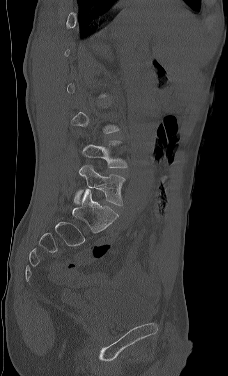
Spine CT. sagittal reformat. bone window
Each vertebra maps to its box as [x1, y1, x2, y2], the pixel coordinates of its top-left and bottom-right corners.
Not every vertebra on this slice has a box: a vertebra is boxed only from the first to the last slice where its cross-section is at least a third of its largest, and this slice is outside that range for at least one of them.
{"vertebrae":{"L5":[75,164,125,205],"L4":[82,140,127,168]}}